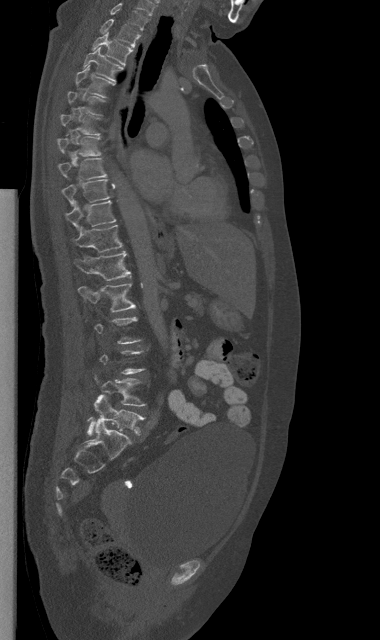

Spine CT · sagittal view · bone-window reconstruction · 380x640 px
Each box given as x1,y1,x2,y2. A vertebra is boxed only from the first to the last slice where its cross-section is at least a third of its largest; slices outside that range leave it without a box. 15 vertebrae labeled — C7 at x1=110, y1=3, x2=148, y2=29; T1 at x1=100, y1=19, x2=140, y2=47; T2 at x1=92, y1=32, x2=132, y2=65; T3 at x1=83, y1=47, x2=124, y2=82; T4 at x1=75, y1=66, x2=113, y2=97; T6 at x1=60, y1=114, x2=100, y2=135; T7 at x1=57, y1=137, x2=100, y2=155; T8 at x1=58, y1=158, x2=106, y2=179; T9 at x1=62, y1=179, x2=109, y2=206; T10 at x1=66, y1=201, x2=115, y2=230; T11 at x1=75, y1=225, x2=122, y2=252; T12 at x1=75, y1=251, x2=132, y2=280; L1 at x1=78, y1=283, x2=135, y2=311; L4 at x1=94, y1=375, x2=145, y2=406; L5 at x1=87, y1=394, x2=144, y2=434.